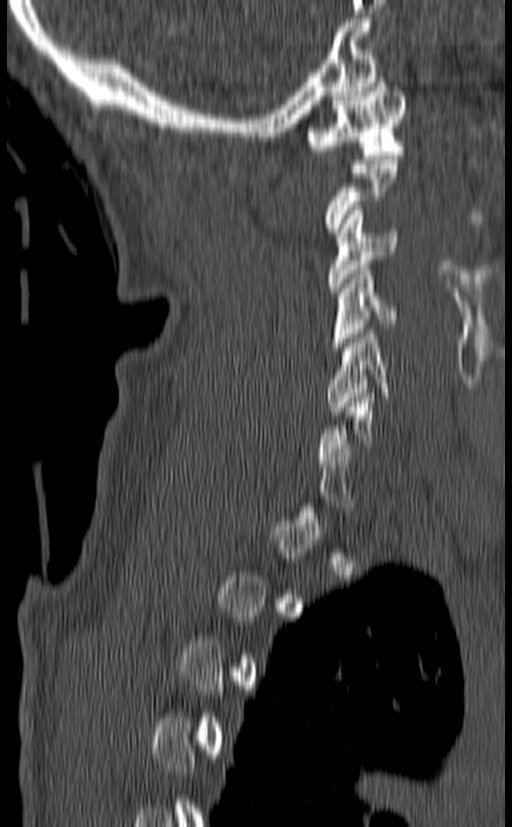
Computed tomography of the spine. sagittal reformat. W/L 1800/400 HU. Coordinates as <box>x1,y1,x2,y2</box>.
A vertebra gets a box only on the slices from the first to the last where its cross-section is at least a third of its largest; on a slice outside that range it gets none.
C5: <box>327,329,389,415</box>
C4: <box>330,265,397,351</box>
C3: <box>328,206,398,292</box>
C1: <box>305,78,406,159</box>